CT, spine · sagittal view · bone window · 250x671 px · the image spans 250 mm across
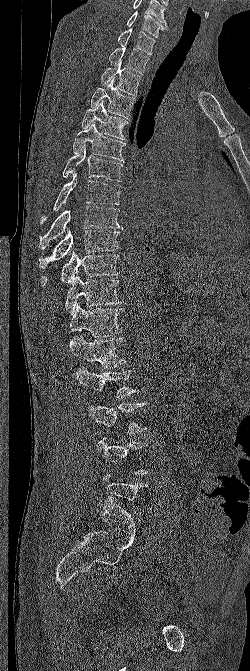 Coordinates as <box>x1,y1,x2,y2</box>.
Not every vertebra on this slice has a box: a vertebra is boxed only from the first to the last slice where its cross-section is at least a third of its largest, and this slice is outside that range for at least one of them.
Labels in this scan begin with C6 at the top and end with L5 at the bottom.
L3: <box>87,402,146,434</box>
L2: <box>75,367,138,398</box>
L1: <box>68,335,126,368</box>
T12: <box>69,303,123,337</box>
T11: <box>64,272,121,314</box>
T10: <box>41,252,119,285</box>
T9: <box>39,227,120,268</box>
T8: <box>39,206,122,249</box>
T7: <box>40,170,120,224</box>
T6: <box>62,143,122,181</box>
T5: <box>73,122,126,161</box>
T4: <box>81,100,128,140</box>
T3: <box>91,79,135,118</box>
T2: <box>101,62,141,95</box>
T1: <box>109,46,149,74</box>
C7: <box>117,28,155,55</box>
C6: <box>126,11,168,37</box>